Spine CT — sagittal plane, index 356 — 512x1010 px — 140 mm across the image
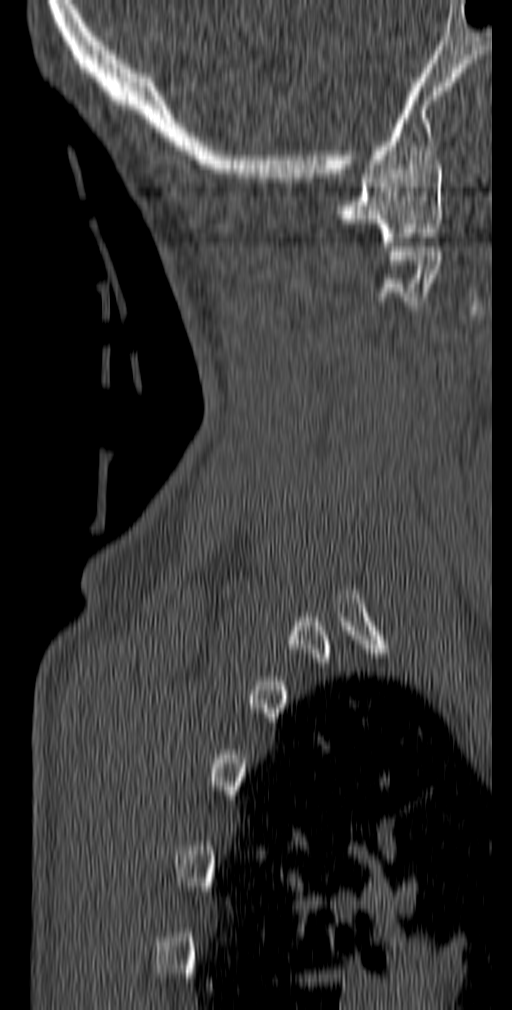 In the table, x1 and y1 are a box's top-left corner and x2 and y2 its bottom-right corner, in pixels.
| vertebra | x1 | y1 | x2 | y2 |
|---|---|---|---|---|
| C2 | 378 | 247 | 442 | 305 |
| C1 | 336 | 165 | 443 | 246 |